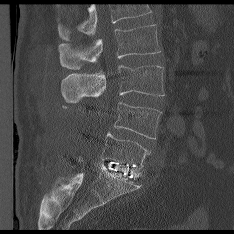
CT. sagittal view. bone-window reconstruction. 234x234 px

Coordinates as <box>x1,y1,x2,y2</box>.
Vertebrae that run past the top of the scan are left unlabeled.
L2: <box>59,25,160,69</box>
L3: <box>61,65,164,102</box>
L4: <box>114,102,161,139</box>
L5: <box>101,133,148,167</box>